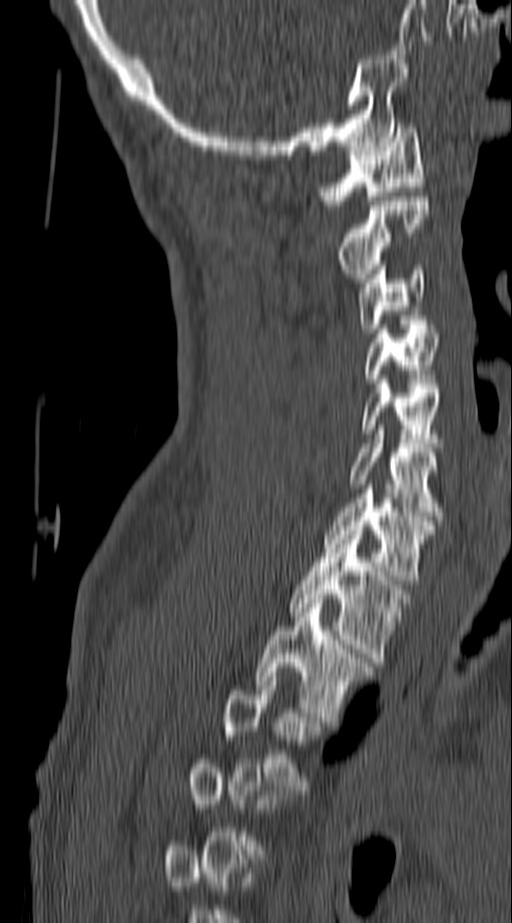
Computed tomography of the spine; image width 140 mm; sagittal view
Coordinates as <box>x1,y1,x2,y2</box>.
Each vertebra is boxed only on the slices from the first to the last where its cross-section reaches a third of its largest, so a slice outside that range leaves it unboxed.
Vertebra bounding boxes:
- T3: <box>224,672,326,794</box>
- T2: <box>254,599,373,726</box>
- T1: <box>290,530,414,662</box>
- C7: <box>323,489,436,584</box>
- C6: <box>349,430,443,520</box>
- C5: <box>360,384,443,452</box>
- C4: <box>363,329,439,383</box>
- C3: <box>357,265,428,333</box>
- C2: <box>338,197,428,282</box>
- C1: <box>320,123,425,205</box>